CT spine — Sagittal slice 45/59 — 220x220 px
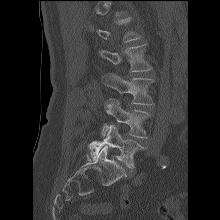 Box edges are left/top/right/bottom in pixels.
A vertebra is boxed only from the first to the last slice where its cross-section is at least a third of its largest; slices outside that range leave it without a box.
L2: left=98, top=43, right=152, bottom=72
L3: left=101, top=73, right=154, bottom=105
L4: left=101, top=99, right=151, bottom=138
L5: left=88, top=125, right=147, bottom=168